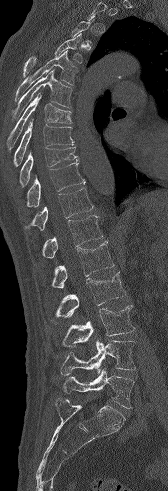
Spine CT · image 168 mm wide · sagittal view · W/L 1800/400 HU

Coordinates as <box>x1,y1,x2,y2</box>.
A vertebra gets a box only on the slices from the first to the last where its cross-section is at least a third of its largest; on a slice outside that range it gets none.
Vertebra bounding boxes:
- L5: <box>61,369,134,408</box>
- L4: <box>60,340,135,375</box>
- L3: <box>62,305,134,346</box>
- L2: <box>55,271,126,318</box>
- L1: <box>51,241,114,288</box>
- T12: <box>42,215,103,258</box>
- T11: <box>24,188,93,230</box>
- T10: <box>27,162,85,207</box>
- T9: <box>19,147,78,186</box>
- T8: <box>13,119,74,166</box>
- T7: <box>7,93,71,149</box>
- T6: <box>12,70,72,121</box>
- T5: <box>15,50,77,101</box>
- T4: <box>23,33,82,76</box>